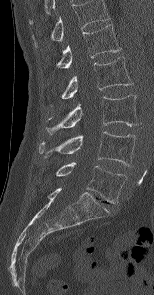

Spine computed tomography; sagittal view
Box values are [left, top, right, bottom] in pixels.
This scan's labels start at L1 at the top and end at L5 at the bottom.
{"vertebrae":{"L1":[56,24,121,68],"L2":[61,57,132,99],"L3":[45,95,137,134],"L4":[39,131,136,166],"L5":[56,162,127,203]}}